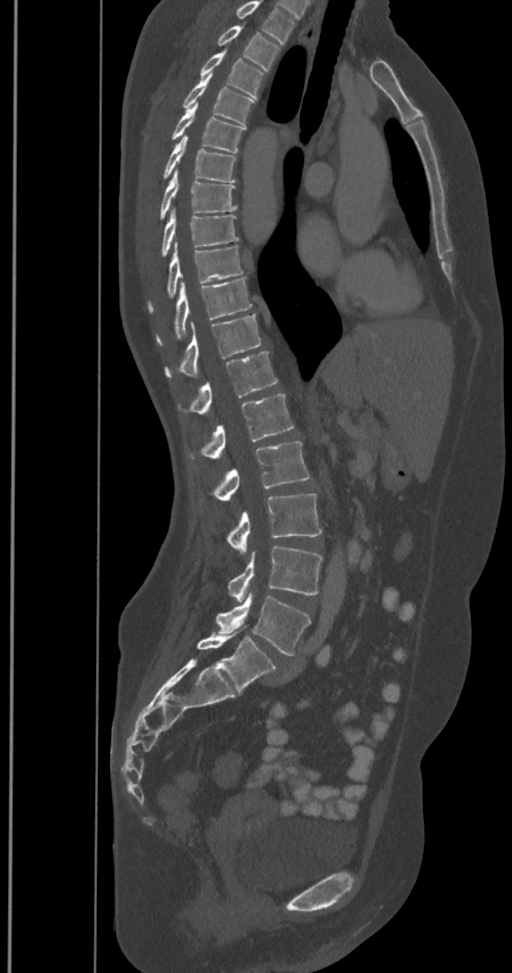

CT spine. sagittal reformat. W/L 1800/400 HU

Box edges are left/top/right/bottom in pixels.
The highest labeled vertebra in this scan is T2; the lowest is L6.
These labels give the spine a sixth lumbar vertebra, L6, below L5.
| vertebra | x1 | y1 | x2 | y2 |
|---|---|---|---|---|
| T2 | 216 | 25 | 280 | 71 |
| T3 | 199 | 50 | 264 | 99 |
| T4 | 181 | 74 | 255 | 125 |
| T5 | 171 | 103 | 245 | 153 |
| T6 | 162 | 134 | 236 | 182 |
| T7 | 159 | 170 | 237 | 220 |
| T8 | 161 | 209 | 239 | 257 |
| T9 | 148 | 242 | 243 | 312 |
| T10 | 156 | 278 | 252 | 344 |
| T11 | 165 | 313 | 261 | 377 |
| T12 | 178 | 352 | 277 | 415 |
| L1 | 188 | 394 | 294 | 458 |
| L2 | 200 | 441 | 309 | 502 |
| L3 | 227 | 494 | 322 | 553 |
| L4 | 228 | 546 | 322 | 602 |
| L5 | 216 | 592 | 310 | 655 |
| L6 | 197 | 633 | 275 | 693 |